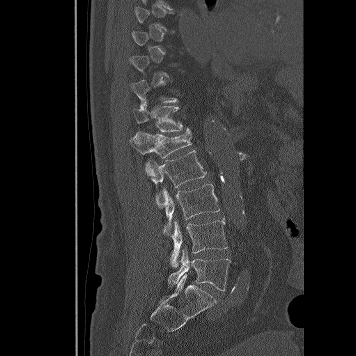 Spine computed tomography. sagittal view
Columns x1, y1, x2, y2 give each box's top-left and bottom-right pixels.
Each vertebra is boxed only on the slices from the first to the last where its cross-section reaches a third of its largest, so a slice outside that range leaves it unboxed.
| vertebra | x1 | y1 | x2 | y2 |
|---|---|---|---|---|
| T12 | 133 | 106 | 191 | 131 |
| L1 | 129 | 130 | 192 | 157 |
| L2 | 145 | 150 | 206 | 208 |
| L3 | 162 | 184 | 219 | 236 |
| L4 | 170 | 216 | 227 | 267 |
| L5 | 168 | 249 | 230 | 290 |